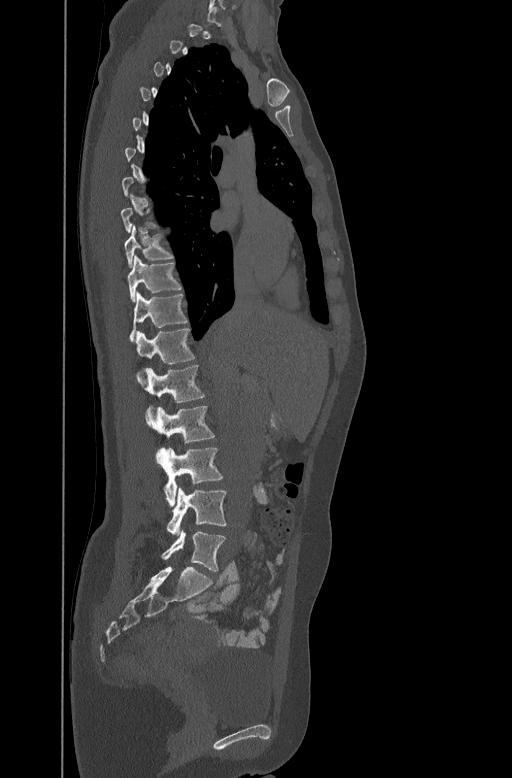 CT · 447 mm image width · sagittal view · 512x778 px. Each row gives a vertebra's box as x1, y1, x2, y2 in pixels: top-left corner, then bottom-right corner.
A vertebra is boxed only from the first to the last slice where its cross-section is at least a third of its largest; slices outside that range leave it without a box.
| vertebra | x1 | y1 | x2 | y2 |
|---|---|---|---|---|
| L5 | 161 | 529 | 226 | 571 |
| L4 | 167 | 488 | 226 | 536 |
| L3 | 156 | 447 | 222 | 506 |
| L2 | 145 | 405 | 214 | 443 |
| L1 | 136 | 364 | 204 | 402 |
| T12 | 135 | 327 | 194 | 363 |
| T11 | 129 | 291 | 187 | 339 |
| T10 | 127 | 255 | 181 | 300 |
| T9 | 124 | 224 | 172 | 266 |